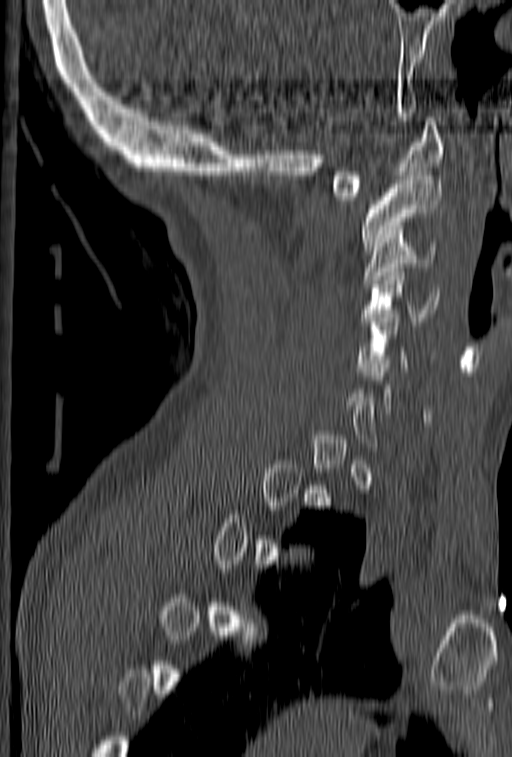

CT, spine — sagittal reformat — Bone window (WL 400, WW 1800)
Coordinates as <box>x1,y1,x2,y2</box>.
A vertebra is boxed only from the first to the last slice where its cross-section is at least a third of its largest; slices outside that range leave it without a box.
Vertebra bounding boxes:
- C1: <box>332,117,443,200</box>
- C2: <box>359,176,442,250</box>
- C3: <box>363,238,435,283</box>
- C4: <box>360,264,439,325</box>
- C5: <box>356,301,409,371</box>